CT, spine · sagittal view · 444x709 px
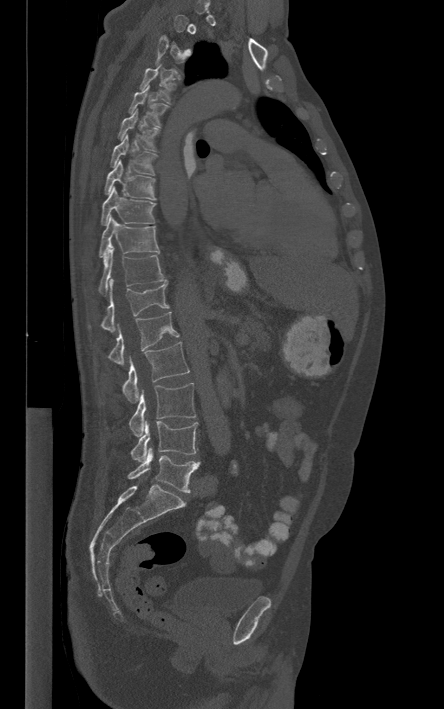 Box edges are left/top/right/bottom in pixels. A vertebra is boxed only from the first to the last slice where its cross-section is at least a third of its largest; slices outside that range leave it without a box. 14 vertebrae labeled — T4 at left=139, top=64, right=177, bottom=103; T5 at left=129, top=85, right=168, bottom=127; T6 at left=118, top=110, right=160, bottom=151; T7 at left=110, top=134, right=157, bottom=174; T8 at left=105, top=160, right=155, bottom=199; T9 at left=101, top=186, right=155, bottom=224; T10 at left=99, top=217, right=158, bottom=257; T11 at left=97, top=245, right=166, bottom=295; T12 at left=88, top=277, right=168, bottom=331; L1 at left=108, top=311, right=179, bottom=364; L2 at left=122, top=341, right=189, bottom=403; L3 at left=129, top=383, right=195, bottom=436; L4 at left=130, top=421, right=198, bottom=461; L5 at left=127, top=448, right=199, bottom=492.